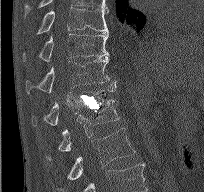 Computed tomography of the spine — sagittal view
Each box given as x1,y1,x2,y2.
| vertebra | x1 | y1 | x2 | y2 |
|---|---|---|---|---|
| L2 | 59 | 128 | 135 | 189 |
| L1 | 46 | 99 | 119 | 158 |
| T12 | 32 | 87 | 115 | 126 |
| T11 | 26 | 57 | 116 | 93 |
| T10 | 23 | 33 | 108 | 62 |
| T9 | 36 | 7 | 109 | 33 |